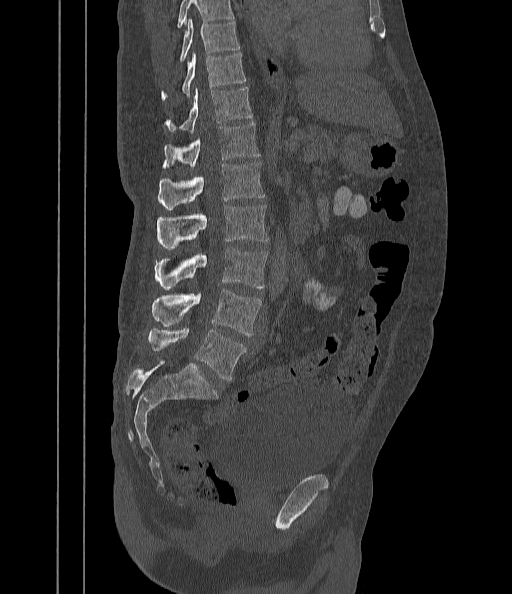
CT, spine · sagittal reformat · bone window · 442 mm wide · 512x594 px
Coordinates as <box>x1,y1,x2,y2</box>. Where the top of the scan cuts through a vertebra, that vertebra gets no label or box. Vertebrae labeled: L5 at <box>148,328,246,380</box>, L4 at <box>152,290,261,336</box>, L3 at <box>154,247,268,289</box>, L2 at <box>157,205,268,249</box>, L1 at <box>157,162,264,209</box>, T12 at <box>162,123,260,169</box>, T11 at <box>166,87,253,133</box>, T10 at <box>161,52,246,102</box>, T9 at <box>179,19,240,62</box>.